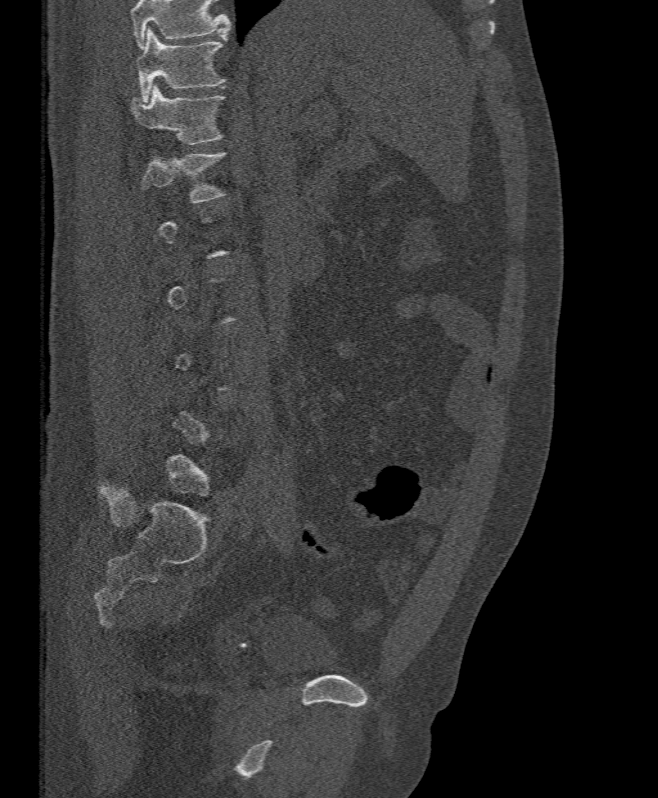
Spine computed tomography — sagittal view — 658x798 px

Box edges are left/top/right/bottom in pixels.
A vertebra gets a box only on the slices from the first to the last where its cross-section is at least a third of its largest; on a slice outside that range it gets none.
Vertebrae that run past the top of the scan are left unlabeled.
L1: left=141, top=152, right=225, bottom=202
T12: left=131, top=85, right=224, bottom=144
T11: left=136, top=28, right=225, bottom=102